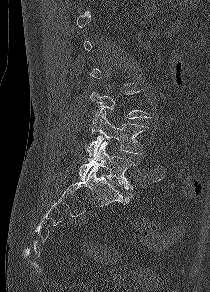

CT. sagittal view. 210x292 px
Boxes: x1:y1:x2:y2 in pixels.
A vertebra is boxed only from the first to the last slice where its cross-section is at least a third of its largest; slices outside that range leave it without a box.
L4: 86:110:148:160
L5: 79:141:135:189